CT — sagittal plane, index 253 — bone-window reconstruction — 500 mm image width — part of the image has been replaced by a constant value
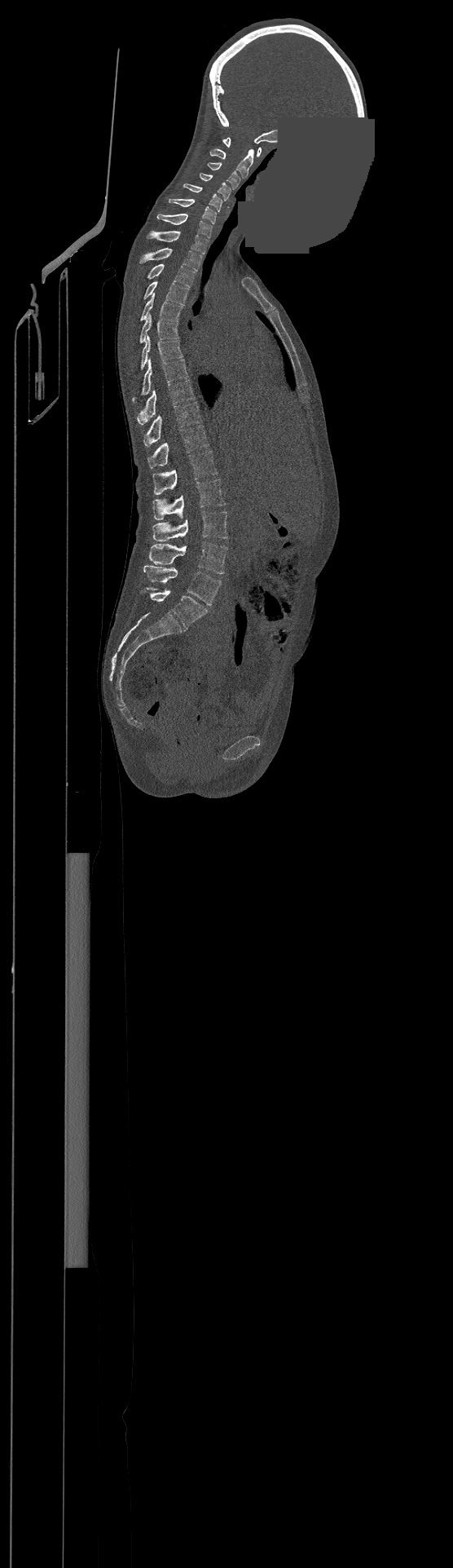
In the table, x1 and y1 are a box's top-left corner and x2 and y2 its bottom-right corner, in pixels.
Labels in this scan begin with C1 at the top and end with L4 at the bottom.
| vertebra | x1 | y1 | x2 | y2 |
|---|---|---|---|---|
| C1 | 222 | 138 | 261 | 157 |
| C2 | 210 | 148 | 253 | 178 |
| C3 | 207 | 163 | 240 | 189 |
| C4 | 199 | 174 | 231 | 200 |
| C5 | 184 | 183 | 222 | 211 |
| C6 | 168 | 198 | 217 | 223 |
| C7 | 157 | 214 | 213 | 237 |
| T1 | 147 | 231 | 208 | 254 |
| T2 | 139 | 248 | 201 | 271 |
| T3 | 147 | 264 | 195 | 287 |
| T4 | 144 | 281 | 188 | 304 |
| T5 | 141 | 294 | 183 | 320 |
| T6 | 139 | 314 | 178 | 343 |
| T7 | 141 | 336 | 183 | 369 |
| T8 | 132 | 359 | 187 | 402 |
| T9 | 137 | 380 | 195 | 425 |
| T10 | 144 | 402 | 200 | 447 |
| T11 | 147 | 426 | 209 | 468 |
| T12 | 153 | 451 | 218 | 494 |
| L1 | 153 | 479 | 226 | 520 |
| L2 | 153 | 510 | 227 | 541 |
| L3 | 149 | 541 | 227 | 573 |
| L4 | 144 | 565 | 221 | 605 |